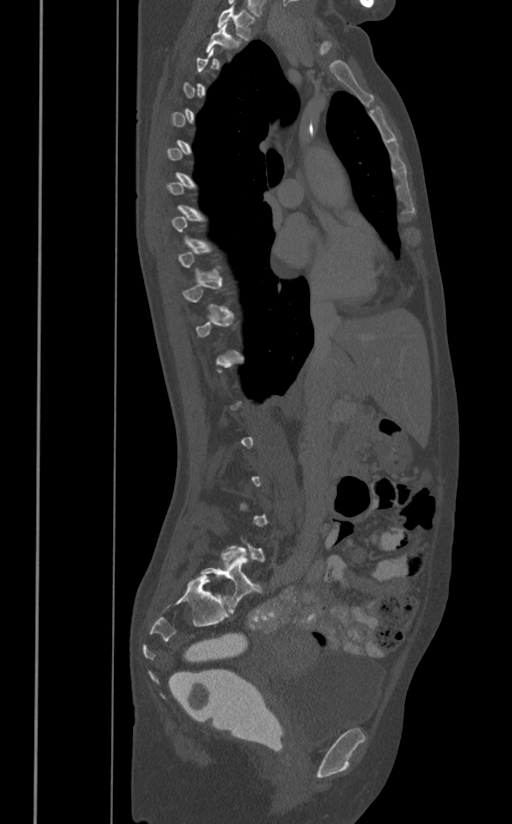
CT, spine. 391 mm wide. sagittal view. bone window
Boxes below are [x1, y1, x2, y2] in pixels.
A vertebra gets a box only on the slices from the first to the last where its cross-section is at least a third of its largest; on a slice outside that range it gets none.
{"vertebrae":{"T2":[207,24,238,53],"T1":[217,4,255,40]}}